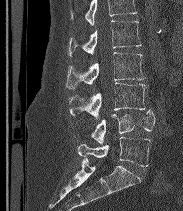 CT, spine. sagittal view. Bone window (WL 400, WW 1800). 183x211 px. the image is 183 mm wide
Boxes below are [x1, y1, x2, y2] in pixels.
Vertebrae that run past the top of the scan are left unlabeled.
These labels give the spine a sixth lumbar vertebra, L6, below L5.
{"vertebrae":{"L6":[77,137,150,166],"L5":[91,110,155,144],"L4":[69,83,146,119],"L3":[66,52,145,89],"L2":[68,20,141,56]}}